Computed tomography of the spine; sagittal reformat; 281x245 px; image 281 mm wide; 9 vertebrae labeled in this scan; part of the image has been replaced by a constant value
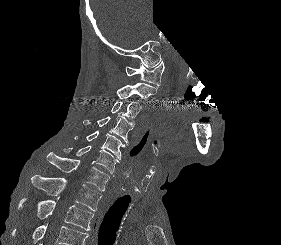

Box values are [left, top, right, bottom] in pixels.
Where the bottom of the scan cuts through a vertebra, that vertebra gets no label or box.
{"vertebrae":{"C1":[125,61,164,88],"C2":[116,83,156,99],"C3":[111,101,140,119],"C4":[83,114,133,144],"C5":[74,130,125,159],"C6":[63,146,119,176],"C7":[47,152,110,191],"T1":[31,175,101,211],"T2":[18,197,94,230]}}